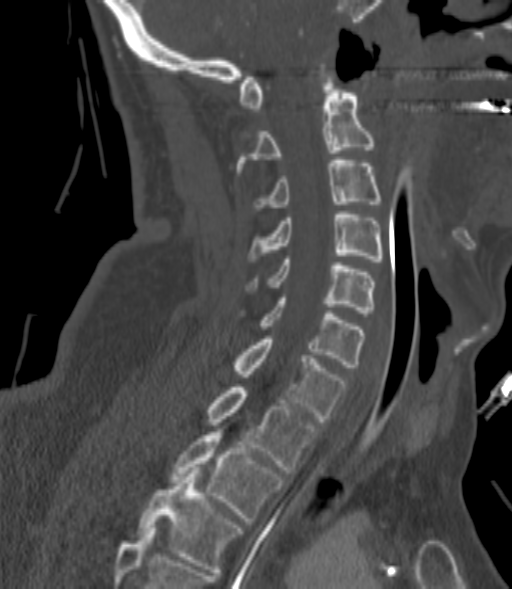
Spine CT. sagittal view. bone window
Each vertebra maps to its box as [x1, y1, x2, y2], the pixel coordinates of its top-left and bottom-right corners.
Each vertebra is boxed only on the slices from the first to the last where its cross-section reaches a third of its largest, so a slice outside that range leaves it unboxed.
{"vertebrae":{"C2":[236,74,374,172],"C3":[254,160,379,210],"C4":[249,211,384,261],"C5":[249,259,374,313],"C6":[259,298,363,367],"C7":[234,339,345,421],"T1":[208,387,317,473],"T2":[170,429,284,524],"T3":[139,470,240,572]}}